CT; Sagittal slice 210/512
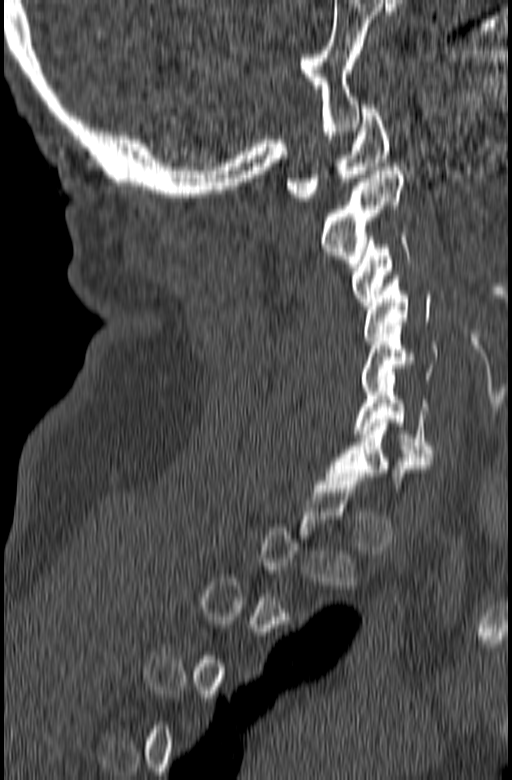
Boxes are (x1, y1, x2, y2) in pixels.
Not every vertebra on this slice has a box: a vertebra is boxed only from the first to the last slice where its cross-section is at least a third of its largest, and this slice is outside that range for at least one of them.
Vertebra bounding boxes:
- C1: (286, 105, 390, 201)
- C2: (321, 167, 404, 267)
- C3: (351, 233, 409, 305)
- C4: (364, 275, 431, 340)
- C5: (361, 322, 438, 391)
- C6: (355, 376, 434, 457)
- C7: (327, 419, 432, 488)